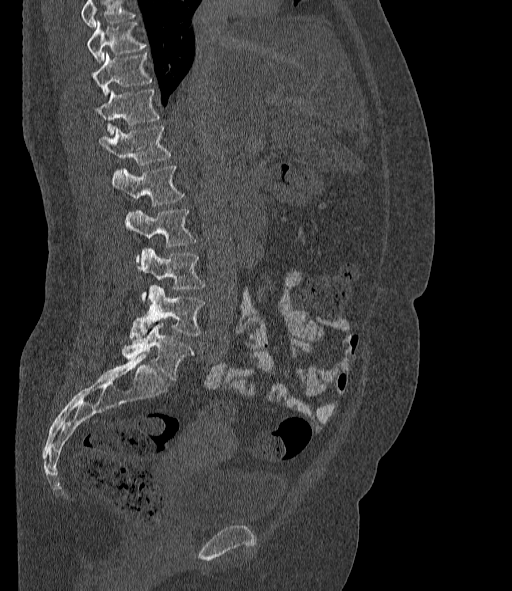
CT spine — sagittal reformat

Each box given as x1,y1,x2,y2. Vertebrae that run past the top of the scan are left unlabeled. The labels name a sixth lumbar vertebra for this spine: L6, after L5. 9 vertebrae labeled — L6 at x1=122, y1=322, x2=193, y2=379; L5 at x1=129, y1=285, x2=204, y2=339; L4 at x1=137, y1=249, x2=204, y2=300; L3 at x1=123, y1=209, x2=196, y2=246; L2 at x1=111, y1=166, x2=184, y2=205; L1 at x1=99, y1=126, x2=170, y2=165; T12 at x1=94, y1=90, x2=159, y2=133; T11 at x1=91, y1=53, x2=151, y2=94; T10 at x1=87, y1=22, x2=145, y2=61.